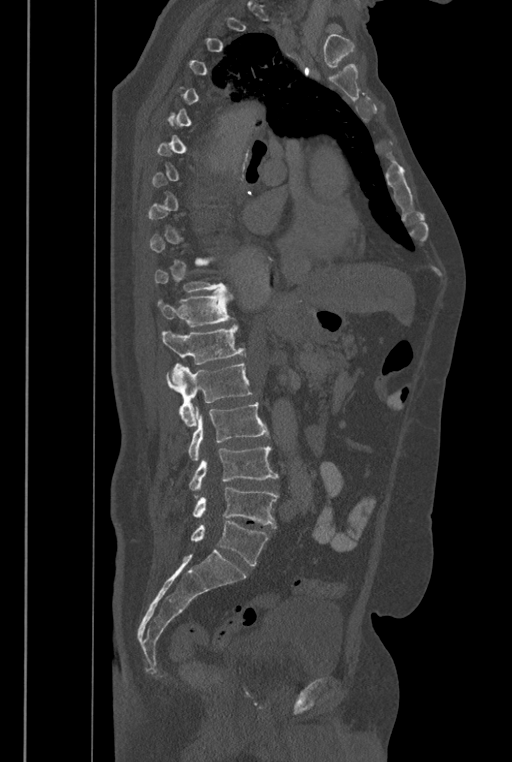 CT, spine. sagittal view. the image spans 446 mm across. Box edges are left/top/right/bottom in pixels.
A vertebra is boxed only from the first to the last slice where its cross-section is at least a third of its largest; slices outside that range leave it without a box.
In these labels the spine has an L6, a sixth lumbar vertebra below L5.
T12: left=157, top=291, right=235, bottom=327
L1: left=162, top=324, right=246, bottom=381
L2: left=166, top=363, right=253, bottom=426
L3: left=188, top=402, right=270, bottom=461
L4: left=189, top=445, right=278, bottom=492
L5: left=193, top=487, right=278, bottom=527
L6: left=190, top=521, right=268, bottom=565